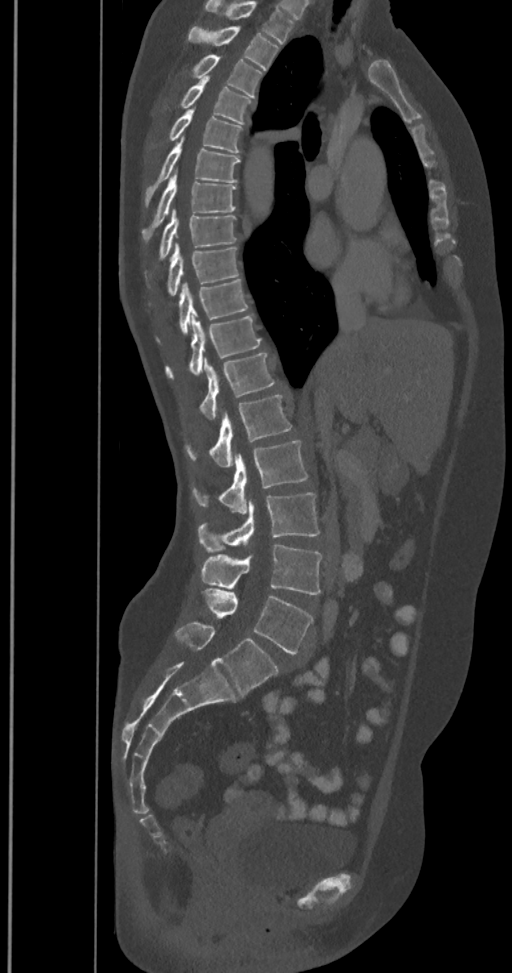 CT, spine · sagittal view · 512x973 px · 350 mm wide
Box edges are left/top/right/bottom in pixels.
The highest labeled vertebra in this scan is T2; the lowest is L6.
In these labels the spine has an L6, a sixth lumbar vertebra below L5.
T2: left=187, top=26, right=278, bottom=70
T3: left=194, top=54, right=262, bottom=98
T4: left=181, top=76, right=252, bottom=124
T5: left=168, top=107, right=242, bottom=153
T6: left=146, top=137, right=240, bottom=203
T7: left=143, top=169, right=236, bottom=239
T8: left=159, top=208, right=236, bottom=257
T9: left=168, top=244, right=239, bottom=295
T10: left=178, top=279, right=247, bottom=333
T11: left=165, top=313, right=261, bottom=377
T12: left=200, top=353, right=275, bottom=419
L1: left=188, top=394, right=291, bottom=468
L2: left=194, top=441, right=307, bottom=514
L3: left=199, top=494, right=319, bottom=551
L4: left=200, top=545, right=322, bottom=594
L5: left=194, top=589, right=313, bottom=653
L6: left=174, top=621, right=278, bottom=695